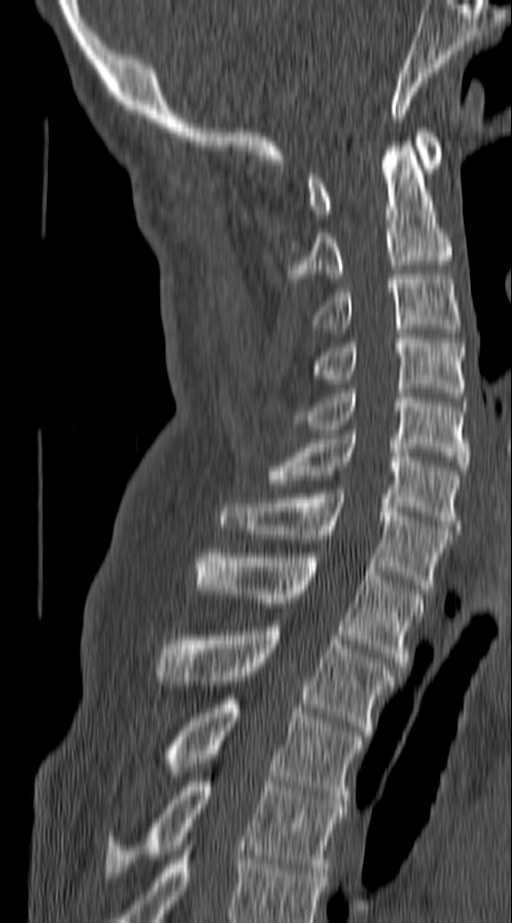 CT spine · sagittal reformat · Bone window (WL 400, WW 1800) · 140 mm image width · 512x923 px
Boxes are (x1, y1, x2, y2) in pixels.
In this scan, the topmost labeled vertebra is C1 and the lowest is T4.
Vertebra bounding boxes:
- C1: (309, 128, 439, 218)
- C2: (290, 142, 450, 278)
- C3: (312, 274, 461, 328)
- C4: (309, 334, 465, 397)
- C5: (294, 389, 468, 470)
- C6: (266, 434, 461, 529)
- C7: (221, 489, 450, 593)
- T1: (195, 549, 425, 666)
- T2: (155, 626, 395, 735)
- T3: (162, 695, 362, 804)
- T4: (104, 777, 344, 877)